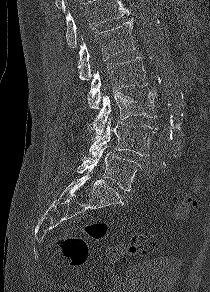 Spine CT. image width 210 mm. sagittal view. W/L 1800/400 HU
A vertebra cut off by the top edge of the scan is not labeled and has no box.
<vertebrae><v name="L5" x1="77" y1="145" x2="141" y2="190"/><v name="L4" x1="89" y1="118" x2="155" y2="156"/><v name="L3" x1="86" y1="90" x2="156" y2="136"/><v name="L2" x1="87" y1="57" x2="147" y2="108"/><v name="L1" x1="78" y1="20" x2="136" y2="79"/></vertebrae>